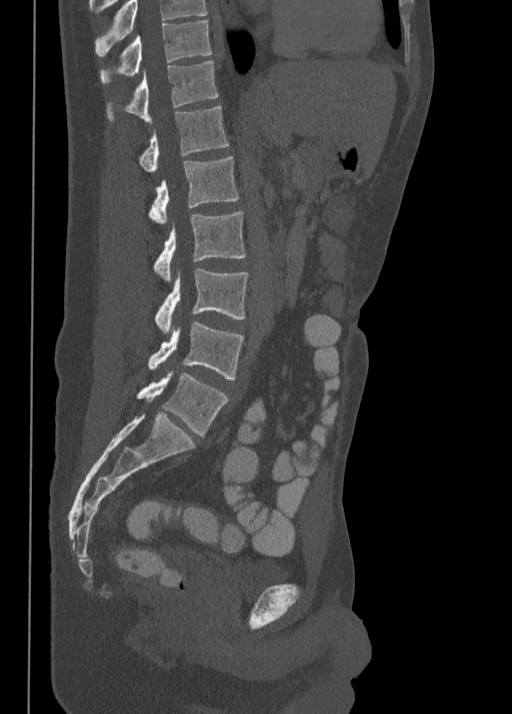
CT spine · sagittal reformat · bone window · 512x714 px
In this scan, the topmost labeled vertebra is T10 and the lowest is L5.
<vertebrae><v name="T10" x1="99" y1="20" x2="211" y2="83"/><v name="T11" x1="105" y1="59" x2="218" y2="124"/><v name="T12" x1="137" y1="105" x2="228" y2="171"/><v name="L1" x1="148" y1="157" x2="239" y2="223"/><v name="L2" x1="153" y1="212" x2="246" y2="279"/><v name="L3" x1="155" y1="269" x2="247" y2="332"/><v name="L4" x1="148" y1="321" x2="243" y2="379"/><v name="L5" x1="137" y1="373" x2="228" y2="436"/></vertebrae>